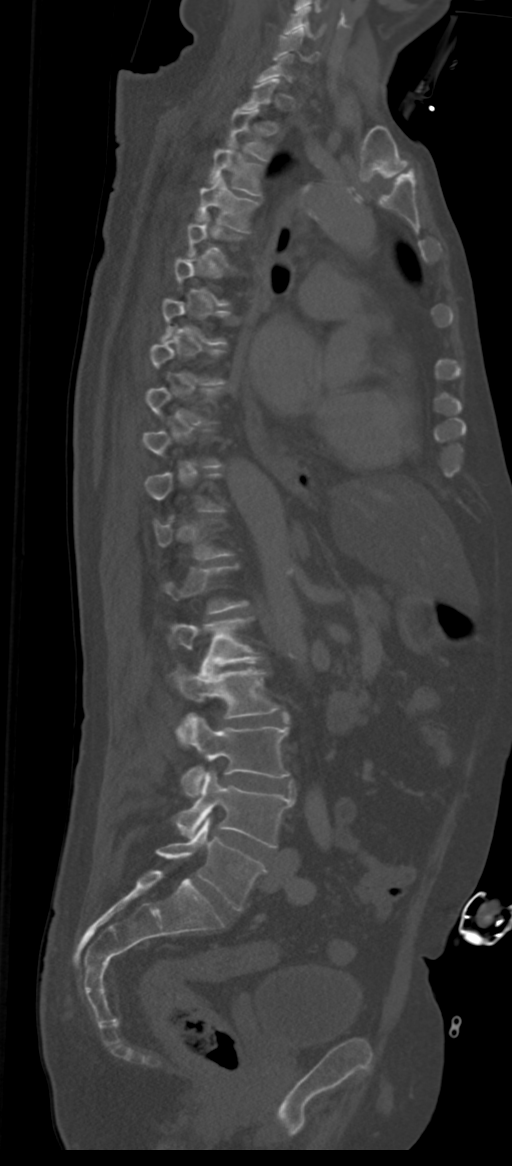 CT; sagittal reformat; 311 mm across the image
Boxes: x1 y1 x2 y2 (pixel coords, space-separated).
A vertebra is boxed only from the first to the last slice where its cross-section is at least a third of its largest; slices outside that range leave it without a box.
These labels give the spine a sixth lumbar vertebra, L6, below L5.
Vertebra bounding boxes:
- L6: 157 819 264 910
- L5: 175 771 294 847
- L4: 176 713 289 796
- L3: 172 669 278 717
- L2: 170 618 259 673
- T4: 195 175 259 232
- T3: 208 144 263 195
- T2: 228 107 271 161
- C6: 275 30 319 62
- C5: 285 6 324 37